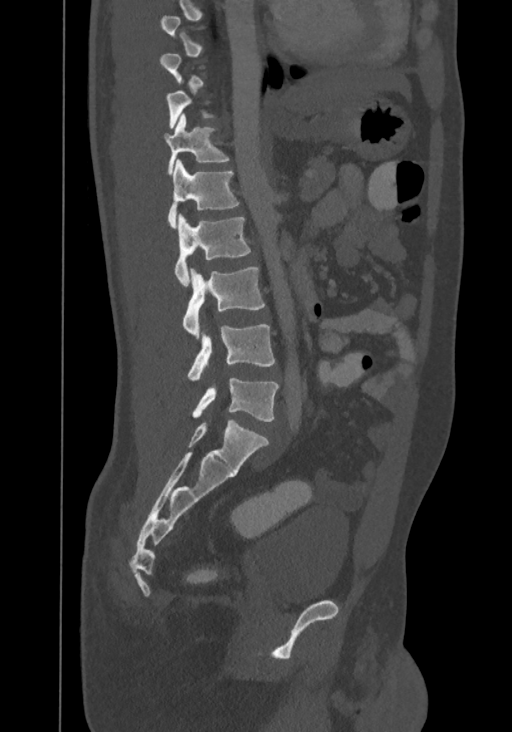

Computed tomography of the spine · sagittal view · image 367 mm wide
Not every vertebra on this slice has a box: a vertebra is boxed only from the first to the last slice where its cross-section is at least a third of its largest, and this slice is outside that range for at least one of them.
Labels in this scan begin with T8 at the top and end with L4 at the bottom.
<vertebrae><v name="T11" x1="164" y1="114" x2="229" y2="174"/><v name="T12" x1="167" y1="159" x2="239" y2="228"/><v name="L1" x1="174" y1="213" x2="250" y2="287"/><v name="L2" x1="183" y1="267" x2="265" y2="338"/><v name="L3" x1="187" y1="325" x2="275" y2="379"/><v name="L4" x1="192" y1="378" x2="278" y2="421"/></vertebrae>